Spine CT. sagittal view. 250x372 px
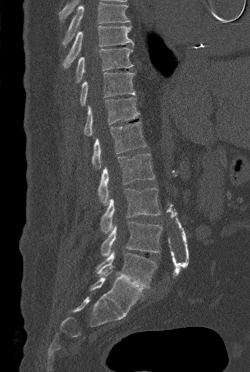 Each box given as x1,y1,x2,y2. No box is given to a vertebra that the top edge of the scan cuts off. Vertebrae labeled: T9 at x1=62, y1=26, x2=133, y2=68, T10 at x1=76, y1=47, x2=133, y2=82, T11 at x1=80, y1=72, x2=135, y2=105, T12 at x1=84, y1=97, x2=139, y2=136, L1 at x1=92, y1=121, x2=146, y2=168, L2 at x1=98, y1=153, x2=154, y2=205, L3 at x1=100, y1=188, x2=160, y2=233, L4 at x1=101, y1=221, x2=162, y2=256, L5 at x1=96, y1=251, x2=156, y2=288.